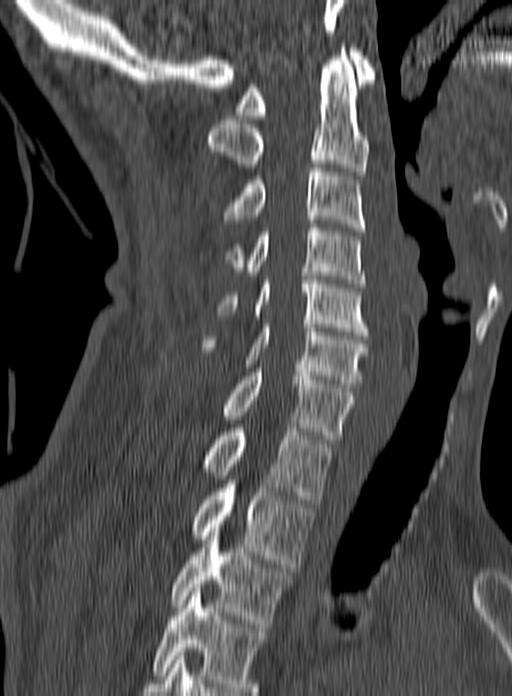

Spine computed tomography. 160 mm wide. sagittal view. 512x696 px

This scan's labels start at C1 at the top and end at T3 at the bottom.
<vertebrae><v name="C1" x1="234" y1="48" x2="377" y2="119"/><v name="C2" x1="206" y1="44" x2="369" y2="175"/><v name="C3" x1="222" y1="164" x2="365" y2="231"/><v name="C4" x1="224" y1="224" x2="365" y2="287"/><v name="C5" x1="215" y1="272" x2="368" y2="335"/><v name="C6" x1="201" y1="324" x2="369" y2="387"/><v name="C7" x1="219" y1="368" x2="354" y2="443"/><v name="T1" x1="200" y1="428" x2="333" y2="503"/><v name="T2" x1="190" y1="480" x2="314" y2="567"/><v name="T3" x1="171" y1="524" x2="291" y2="627"/></vertebrae>